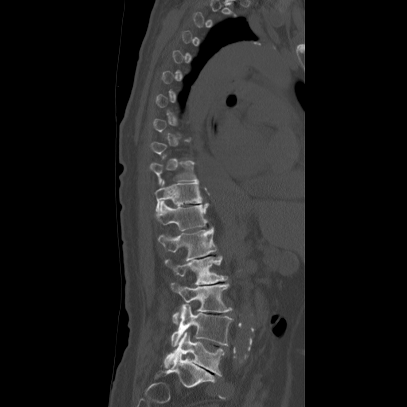 CT · sagittal view · bone window · 407x407 px · image 407 mm wide
In the table, x1 and y1 are a box's top-left corner and x2 and y2 its bottom-right corner, in pixels.
Not every vertebra on this slice has a box: a vertebra is boxed only from the first to the last slice where its cross-section is at least a third of its largest, and this slice is outside that range for at least one of them.
| vertebra | x1 | y1 | x2 | y2 |
|---|---|---|---|---|
| T10 | 148 | 160 | 199 | 183 |
| T11 | 153 | 181 | 201 | 212 |
| T12 | 156 | 200 | 208 | 230 |
| L1 | 158 | 226 | 216 | 260 |
| L2 | 165 | 256 | 228 | 285 |
| L3 | 171 | 282 | 231 | 324 |
| L4 | 170 | 304 | 232 | 346 |
| L5 | 164 | 332 | 223 | 376 |